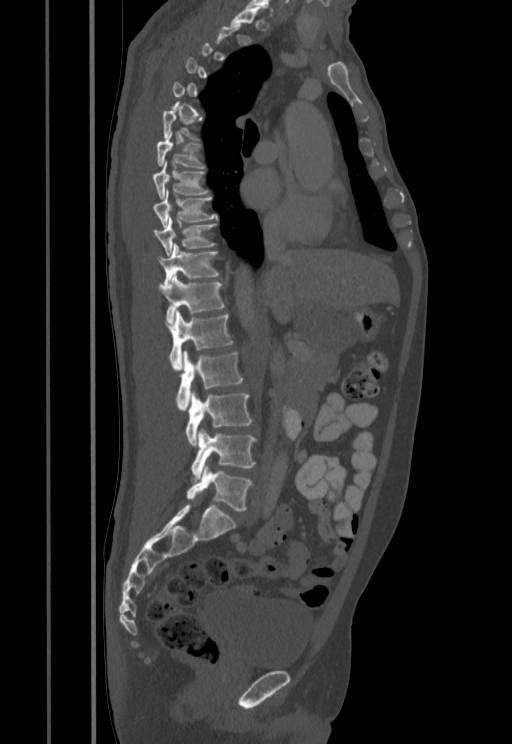 CT spine — sagittal reformat — 512x744 px — image width 455 mm

Each row gives a vertebra's box as x1, y1, x2, y2 in pixels: top-left corner, then bottom-right corner.
A vertebra gets a box only on the slices from the first to the last where its cross-section is at least a third of its largest; on a slice outside that range it gets none.
| vertebra | x1 | y1 | x2 | y2 |
|---|---|---|---|---|
| L5 | 187 | 466 | 252 | 510 |
| L4 | 191 | 429 | 257 | 479 |
| L3 | 186 | 392 | 252 | 446 |
| L2 | 177 | 352 | 243 | 410 |
| L1 | 166 | 311 | 233 | 369 |
| T12 | 159 | 274 | 225 | 324 |
| T11 | 157 | 243 | 218 | 286 |
| T10 | 154 | 217 | 216 | 256 |
| T9 | 154 | 190 | 217 | 227 |
| T8 | 153 | 160 | 209 | 199 |
| T7 | 156 | 131 | 205 | 168 |